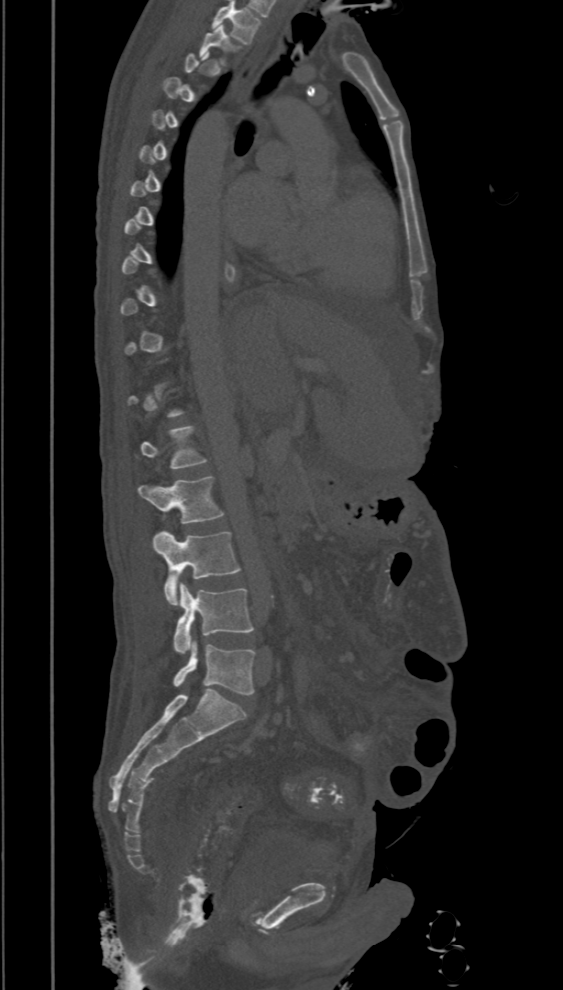
Spine CT. sagittal reformat. Bone window (WL 400, WW 1800)
Boxes below are [x1, y1, x2, y2] in pixels.
Each vertebra is boxed only on the slices from the first to the last where its cross-section reaches a third of its largest, so a slice outside that range leaves it unboxed.
In this scan, the topmost labeled vertebra is T2 and the lowest is L5.
{"vertebrae":{"T2":[200,25,241,64],"L1":[140,426,206,468],"L2":[139,476,224,524],"L3":[153,530,240,605],"L4":[173,583,253,654],"L5":[173,642,255,695]}}